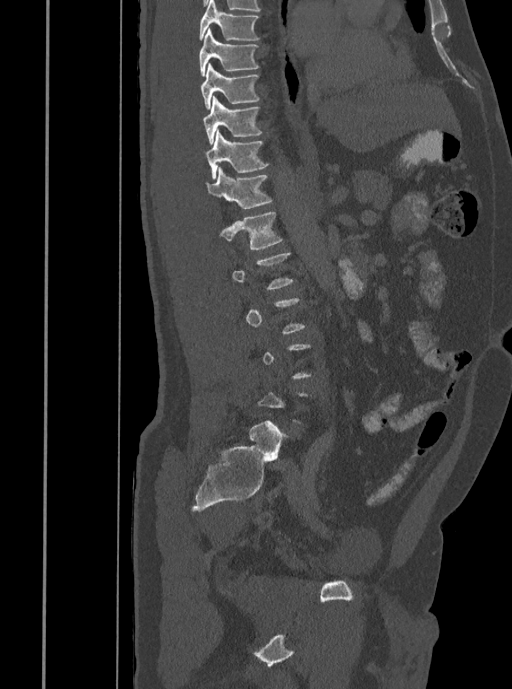
CT, spine. sagittal view. bone window
Boxes below are [x1, y1, x2, y2] in pixels.
A vertebra gets a box only on the slices from the first to the last where its cross-section is at least a third of its largest; on a slice outside that range it gets none.
{"vertebrae":{"T7":[198,0,260,41],"T8":[199,28,259,76],"T9":[201,63,260,110],"T10":[203,96,262,145],"T11":[206,130,269,179],"T12":[206,167,272,209],"L1":[219,212,282,249]}}